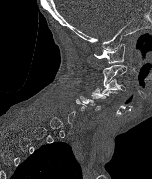
Computed tomography of the spine. sagittal reformat. Bone window (WL 400, WW 1800). 152x179 px
Coordinates as <box>x1,y1,x2,y2</box>. Each vertebra is boxed only on the slices from the first to the last where its cross-section reaches a third of its largest, so a slice outside that range leaves it unboxed. The labeled vertebrae in this slice are: C5 at <box>80,92,106,110</box>, C3 at <box>101,79,125,93</box>, C2 at <box>102,64,127,87</box>, C1 at <box>94,43,124,64</box>.